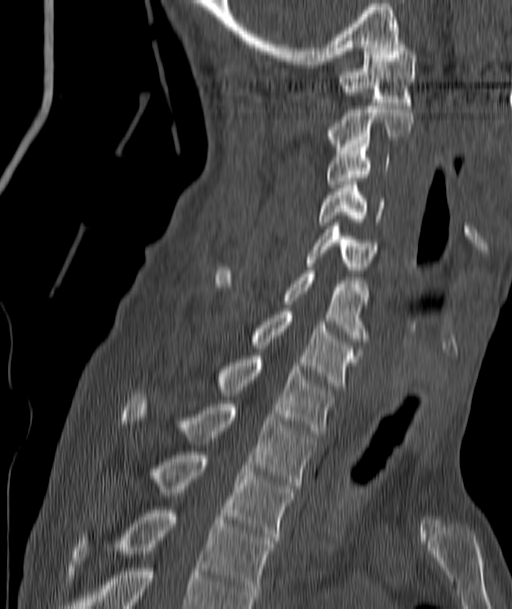

CT — image 187 mm wide — sagittal reformat — Bone window (WL 400, WW 1800) — 512x609 px. Each box given as x1,y1,x2,y2.
C1: x1=338, y1=48, x2=416, y2=105
C2: x1=324, y1=106, x2=413, y2=150
C3: x1=327, y1=144, x2=389, y2=187
C4: x1=318, y1=181, x2=383, y2=225
C5: x1=305, y1=226, x2=379, y2=273
C6: x1=214, y1=267, x2=369, y2=341
C7: x1=250, y1=311, x2=359, y2=389
T1: x1=214, y1=356, x2=334, y2=434
T2: x1=121, y1=394, x2=315, y2=488
T3: x1=146, y1=452, x2=296, y2=543
T4: x1=72, y1=510, x2=274, y2=601